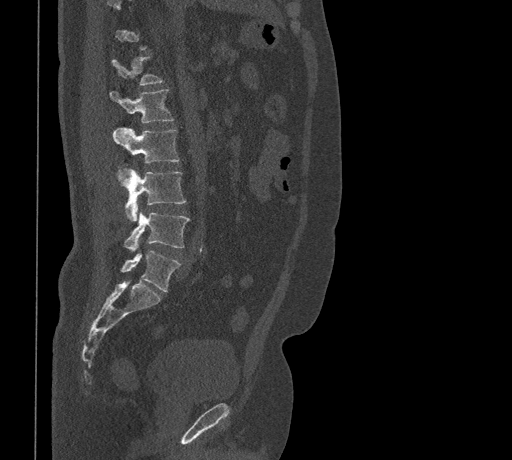
Computed tomography of the spine — sagittal reformat — image width 461 mm — bone window
Not every vertebra on this slice has a box: a vertebra is boxed only from the first to the last slice where its cross-section is at least a third of its largest, and this slice is outside that range for at least one of them.
<vertebrae><v name="T12" x1="111" y1="56" x2="164" y2="85"/><v name="L1" x1="110" y1="89" x2="174" y2="122"/><v name="L2" x1="113" y1="127" x2="179" y2="177"/><v name="L3" x1="125" y1="170" x2="185" y2="220"/><v name="L4" x1="123" y1="209" x2="189" y2="251"/><v name="L5" x1="121" y1="250" x2="181" y2="291"/></vertebrae>